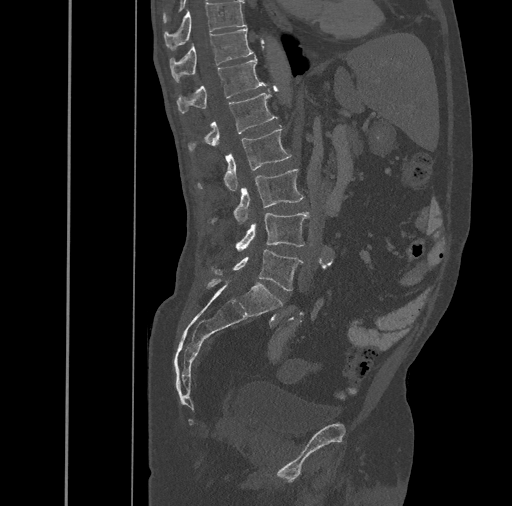

CT, spine · sagittal view · the image is 461 mm wide · Bone window (WL 400, WW 1800)
Boxes below are [x1, y1, x2, y2] in pixels.
{"vertebrae":{"L5":[214,249,303,291],"L4":[235,213,308,251],"L3":[210,168,303,224],"L2":[198,128,292,191],"L1":[188,88,277,152],"T12":[177,57,267,113],"T11":[170,28,254,82],"T10":[164,1,245,50]}}